Computed tomography of the spine. sagittal reformat. bone-window reconstruction. 512x757 px
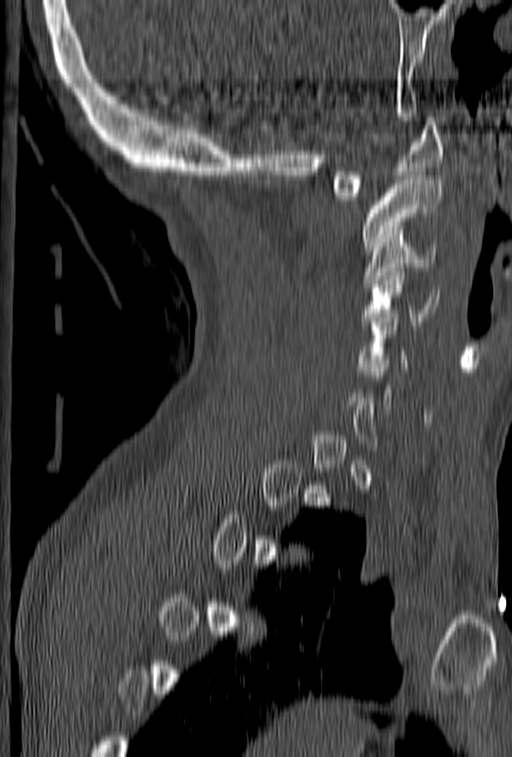

Each vertebra is boxed only on the slices from the first to the last where its cross-section reaches a third of its largest, so a slice outside that range leaves it unboxed.
<vertebrae><v name="C1" x1="332" y1="117" x2="443" y2="200"/><v name="C2" x1="359" y1="176" x2="442" y2="250"/><v name="C3" x1="363" y1="238" x2="435" y2="283"/><v name="C4" x1="360" y1="264" x2="439" y2="325"/><v name="C5" x1="356" y1="301" x2="409" y2="371"/></vertebrae>